CT, spine. Sagittal slice 306/512. 11 vertebrae labeled in this scan
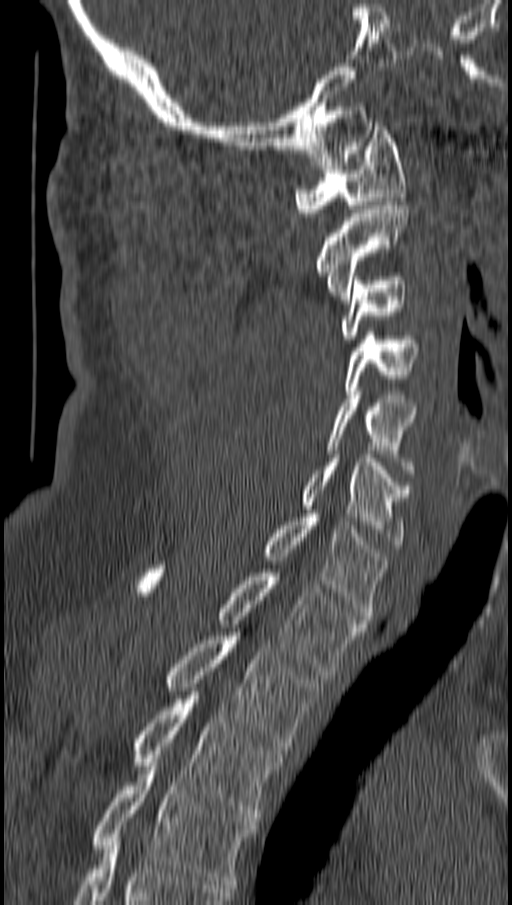
Each box is [x1, y1, x2, y2] in pixels: top-left corner, then bottom-right corner.
{"vertebrae":{"C1":[295,122,405,216],"C2":[317,201,408,303],"C3":[339,277,405,343],"C4":[342,332,419,398],"C5":[327,391,416,473],"C6":[301,454,411,548],"C7":[263,514,386,619],"T1":[136,565,364,675],"T2":[165,632,319,754],"T3":[134,691,281,817],"T4":[93,762,256,888]}}